Spine computed tomography; sagittal plane, index 326; the image is 180 mm wide; 512x789 px
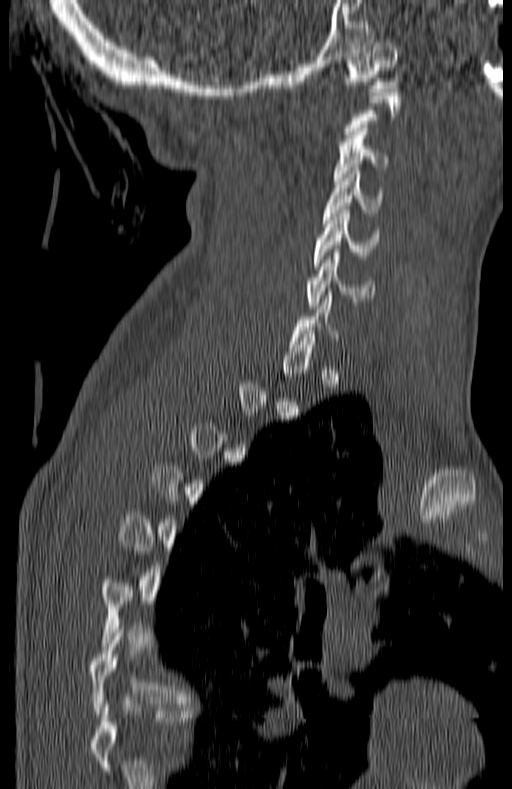

Boxes below are [x1, y1, x2, y2] in pixels.
A vertebra is boxed only from the first to the last slice where its cross-section is at least a third of its largest; slices outside that range leave it without a box.
{"vertebrae":{"C1":[345,43,398,91],"C3":[333,128,387,184],"C4":[323,171,384,219],"C5":[314,210,378,269],"C6":[308,249,375,308]}}